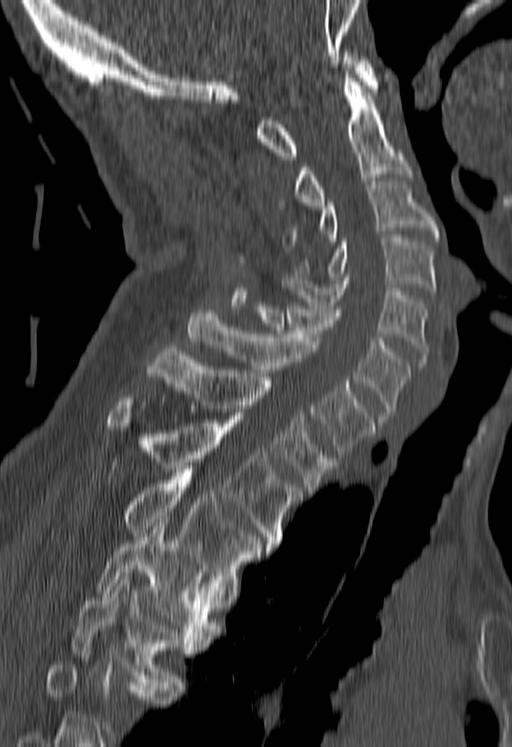 Computed tomography of the spine; image 180 mm wide; sagittal view
Boxes are (x1, y1, x2, y2) in pixels.
Vertebrae that run past the bottom of the scan are left unlabeled.
Vertebra bounding boxes:
- C1: (256, 50, 377, 159)
- C2: (294, 75, 410, 209)
- C3: (283, 181, 438, 248)
- C4: (294, 235, 435, 294)
- C5: (280, 277, 427, 365)
- C6: (250, 302, 410, 419)
- C7: (189, 309, 375, 454)
- T1: (146, 345, 336, 493)
- T2: (106, 398, 301, 547)
- T3: (123, 469, 270, 582)
- T4: (94, 523, 219, 643)
- T5: (72, 572, 196, 689)